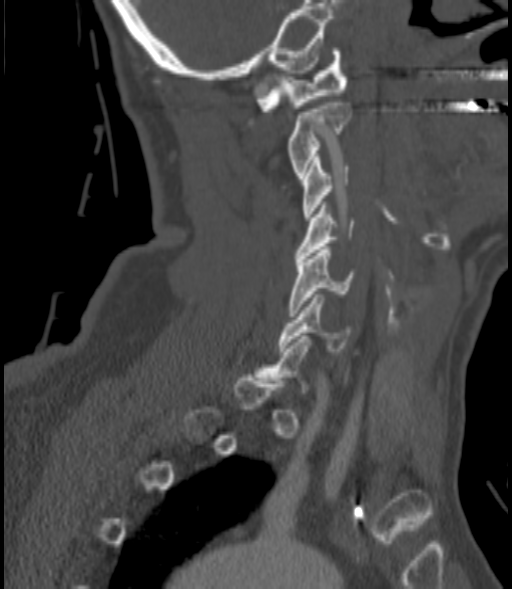 CT spine · sagittal view · Bone window (WL 400, WW 1800) · 512x589 px

Each vertebra maps to its box as [x1, y1, x2, y2], the pixel coordinates of its top-left and bottom-right corners.
Each vertebra is boxed only on the slices from the first to the last where its cross-section reaches a third of its largest, so a slice outside that range leaves it unboxed.
{"vertebrae":{"C1":[256,48,347,111],"C2":[288,102,350,178],"C3":[303,157,348,220],"C4":[294,205,353,261],"C5":[288,246,354,316],"C6":[279,294,351,351]}}